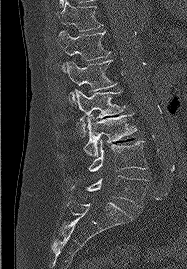 Spine CT · sagittal view · bone-window reconstruction · the image spans 187 mm across
Each box given as x1,y1,x2,y2.
T11: x1=57, y1=0, x2=102, y2=31
T12: x1=57, y1=30, x2=110, y2=73
L1: x1=66, y1=60, x2=116, y2=108
L2: x1=75, y1=90, x2=124, y2=137
L3: x1=84, y1=113, x2=136, y2=156
L4: x1=89, y1=140, x2=147, y2=171
L5: x1=70, y1=175, x2=146, y2=207